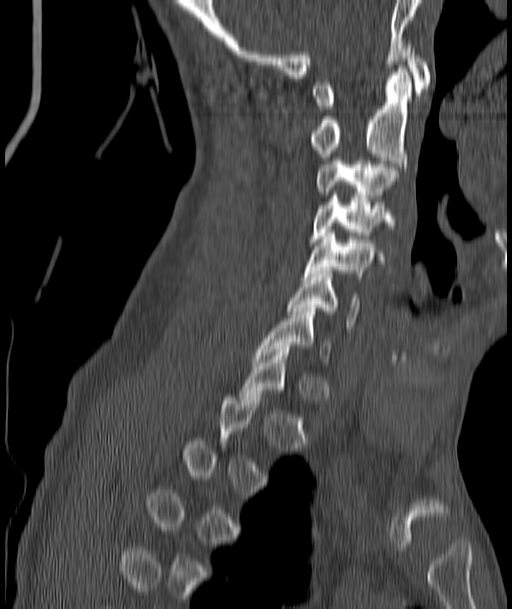
CT, spine — sagittal reformat — 512x609 px
Each vertebra is boxed only on the slices from the first to the last where its cross-section reaches a third of its largest, so a slice outside that range leaves it unboxed.
<vertebrae><v name="C1" x1="313" y1="44" x2="430" y2="109"/><v name="C2" x1="310" y1="68" x2="412" y2="170"/><v name="C3" x1="316" y1="161" x2="397" y2="198"/><v name="C4" x1="309" y1="195" x2="389" y2="242"/><v name="C5" x1="305" y1="229" x2="376" y2="276"/><v name="C6" x1="288" y1="270" x2="359" y2="328"/><v name="C7" x1="255" y1="308" x2="329" y2="362"/></vertebrae>